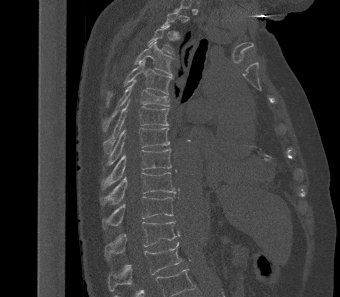
Spine CT — sagittal view — W/L 1800/400 HU
Box edges are left/top/right/bottom in pixels.
A vertebra gets a box only on the slices from the first to the last where its cross-section is at least a third of its largest; on a slice outside that range it gets none.
T3: left=147, top=24, right=174, bottom=54
T4: left=134, top=41, right=172, bottom=75
T5: left=108, top=60, right=172, bottom=101
T6: left=103, top=80, right=169, bottom=130
T7: left=103, top=100, right=169, bottom=153
T8: left=106, top=128, right=170, bottom=166
T9: left=101, top=149, right=171, bottom=189
T10: left=100, top=172, right=175, bottom=205
T11: left=102, top=196, right=174, bottom=228
T12: left=104, top=221, right=177, bottom=259
L1: left=107, top=242, right=181, bottom=291